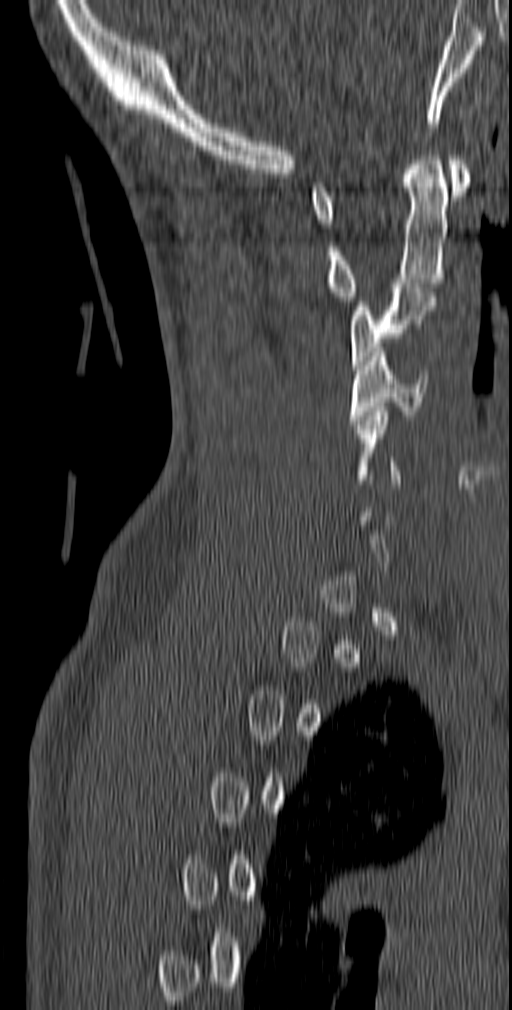 Computed tomography of the spine. sagittal view. 140 mm wide. 512x1010 px
Box edges are left/top/right/bottom in pixels.
Not every vertebra on this slice has a box: a vertebra is boxed only from the first to the last slice where its cross-section is at least a third of its largest, and this slice is outside that range for at least one of them.
| vertebra | x1 | y1 | x2 | y2 |
|---|---|---|---|---|
| C4 | 349 | 347 | 427 | 424 |
| C3 | 349 | 283 | 436 | 369 |
| C2 | 326 | 151 | 447 | 301 |
| C1 | 310 | 155 | 470 | 223 |